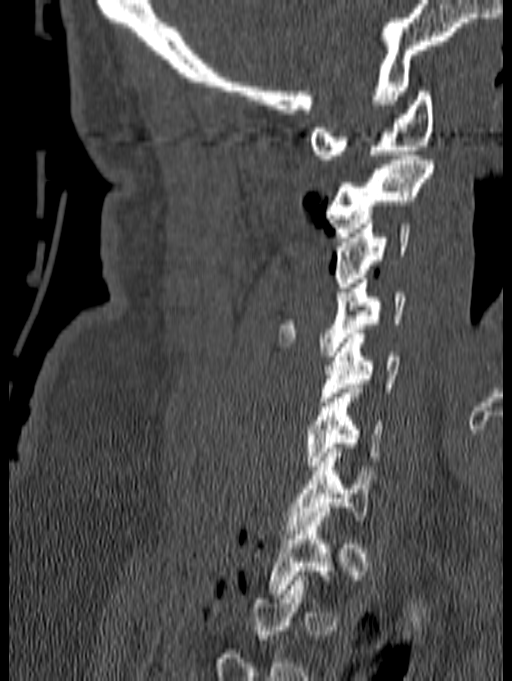
CT, spine — sagittal view — 140 mm image width — 512x681 px. Boxes: x1:y1:x2:y2 in pixels. Not every vertebra on this slice has a box: a vertebra is boxed only from the first to the last slice where its cross-section is at least a third of its largest, and this slice is outside that range for at least one of them. Vertebrae labeled: C1 at 310:91:434:159, C2 at 326:155:435:237, C3 at 334:219:411:287, C4 at 278:279:405:356, C5 at 319:329:399:401, C6 at 305:384:381:470, C7 at 286:448:377:534.